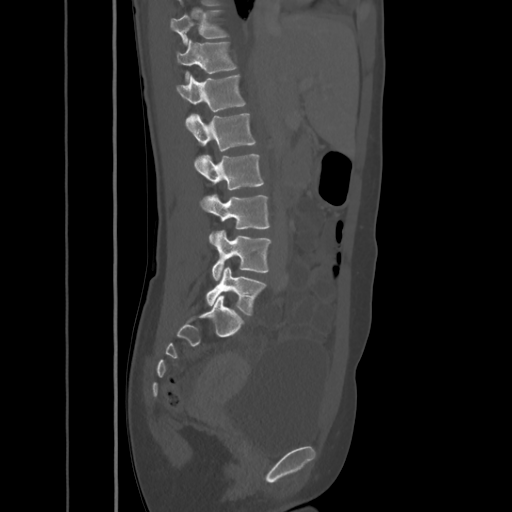

Spine CT · sagittal view · bone-window reconstruction

Each vertebra maps to its box as [x1, y1, x2, y2], the pixel coordinates of its top-left and bottom-right corners.
{"vertebrae":{"T10":[170,10,227,44],"T11":[176,40,236,79],"T12":[176,75,245,111],"L1":[184,113,254,151],"L2":[194,154,263,189],"L3":[200,194,269,242],"L4":[212,230,271,280],"L5":[206,266,265,315]}}